CT, spine — sagittal view — bone window — 512x506 px
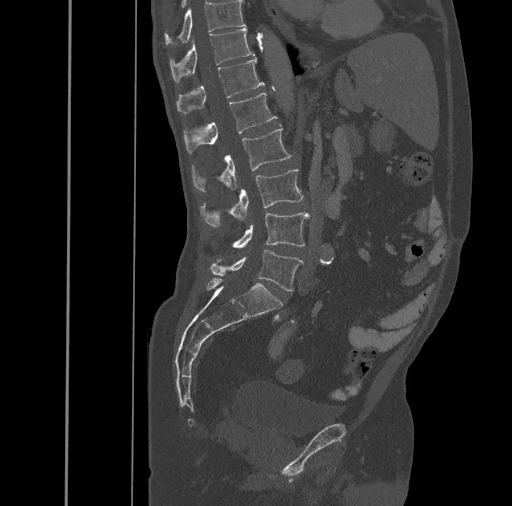
Box edges are left/top/right/bottom in pixels.
T10: left=164, top=1, right=245, bottom=45
T11: left=170, top=28, right=254, bottom=82
T12: left=177, top=57, right=265, bottom=114
L1: left=183, top=93, right=277, bottom=153
L2: left=191, top=128, right=292, bottom=192
L3: left=200, top=169, right=304, bottom=226
L4: left=232, top=213, right=308, bottom=247
L5: left=210, top=249, right=303, bottom=291